CT, spine; sagittal plane, index 213; 10 vertebrae labeled in this scan
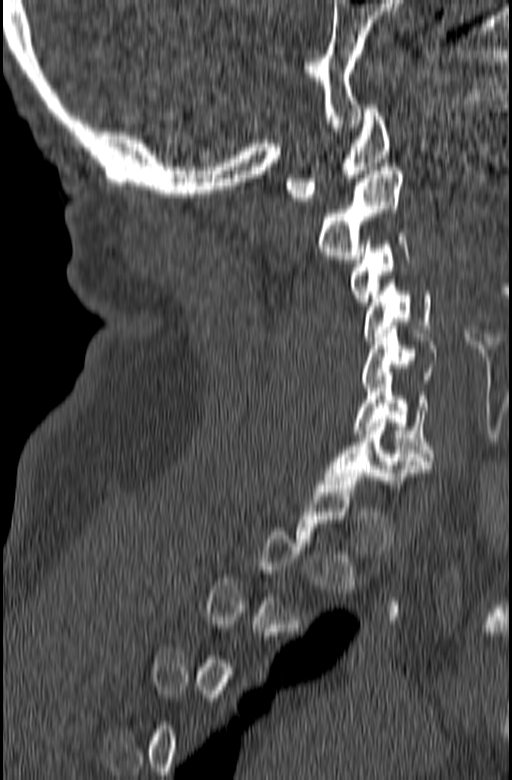
Not every vertebra on this slice has a box: a vertebra is boxed only from the first to the last slice where its cross-section is at least a third of its largest, and this slice is outside that range for at least one of them.
<vertebrae><v name="C1" x1="286" y1="105" x2="391" y2="201"/><v name="C2" x1="318" y1="167" x2="403" y2="263"/><v name="C3" x1="349" y1="233" x2="409" y2="305"/><v name="C4" x1="364" y1="279" x2="431" y2="340"/><v name="C5" x1="361" y1="326" x2="437" y2="391"/><v name="C6" x1="352" y1="376" x2="434" y2="464"/><v name="C7" x1="324" y1="419" x2="430" y2="488"/></vertebrae>